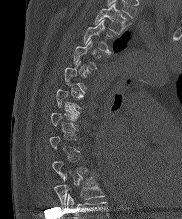 Computed tomography of the spine · sagittal view · 182x219 px
Boxes are (x1, y1, x2, y2) in pixels.
A vertebra gets a box only on the slices from the first to the last where its cross-section is at least a third of its largest; on a slice outside that range it gets none.
In this scan, the topmost labeled vertebra is T2 and the lowest is T10.
Vertebra bounding boxes:
- T10: (55, 174, 103, 207)
- T4: (73, 39, 105, 69)
- T3: (83, 20, 115, 53)
- T2: (94, 3, 129, 34)